CT; sagittal plane, index 261; 617x640 px
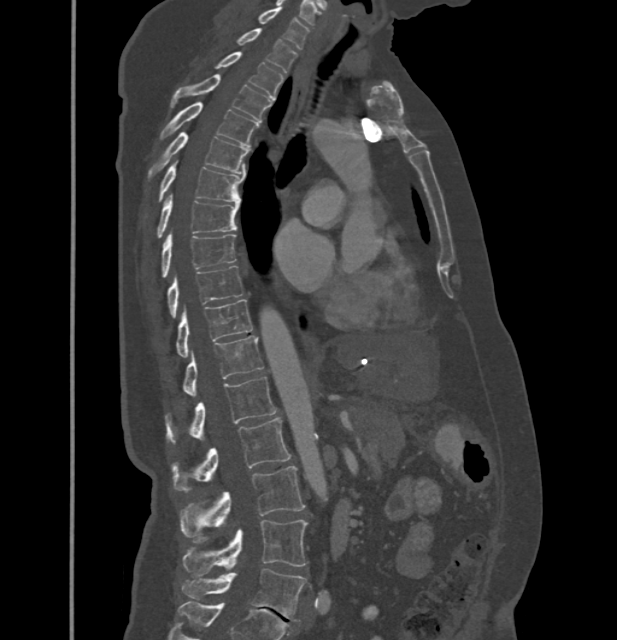 Boxes: x1:y1:x2:y2 in pixels. In these labels the spine has no T12: the thoracic vertebrae end at T11, and L1 comes next. The labeled vertebrae in this slice are: L5 at 181:569:306:621, L4 at 183:520:308:575, L3 at 180:466:305:536, L2 at 171:417:291:491, L1 at 165:376:276:445, T11 at 183:336:263:395, T10 at 176:299:252:356, T9 at 168:266:241:318, T8 at 162:232:236:276, T7 at 157:195:239:238, T6 at 158:162:244:201, T5 at 148:132:249:178, T4 at 160:102:259:146, T3 at 171:75:270:122, T2 at 216:52:283:98, T1 at 237:27:296:72, C7 at 258:7:309:49.